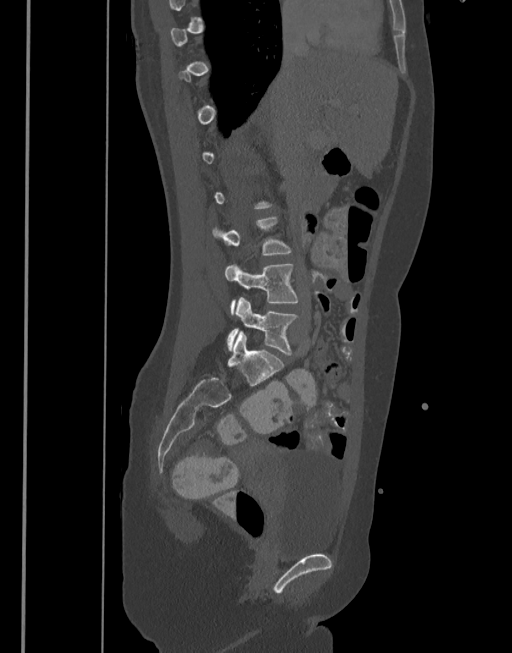
CT, spine · sagittal view · bone window · 377 mm image width

Boxes are (x1, y1, x2, y2) in pixels. A vertebra gets a box only on the slices from the first to the last where its cross-section is at least a third of its largest; on a slice outside that range it gets none. The labeled vertebrae in this slice are: L4 at (224, 264, 298, 314), L5 at (226, 297, 298, 355).